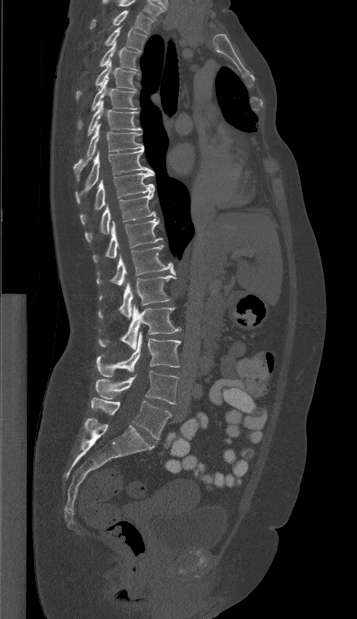 Computed tomography of the spine — sagittal view — the image spans 357 mm across
Box values are [left, top, right, bottom] in pixels.
Labels in this scan begin with T1 at the top and end with L5 at the bottom.
{"vertebrae":{"T1":[90,10,153,33],"T2":[104,25,146,51],"T3":[99,42,139,69],"T4":[75,61,136,98],"T5":[77,78,136,127],"T6":[87,101,140,135],"T7":[73,124,143,180],"T8":[75,149,151,203],"T9":[80,171,154,223],"T10":[85,191,156,242],"T11":[93,219,161,262],"T12":[96,245,175,285],"L1":[98,275,176,319],"L2":[98,304,180,349],"L3":[96,332,180,376],"L4":[95,371,178,403],"L5":[91,397,171,439]}}